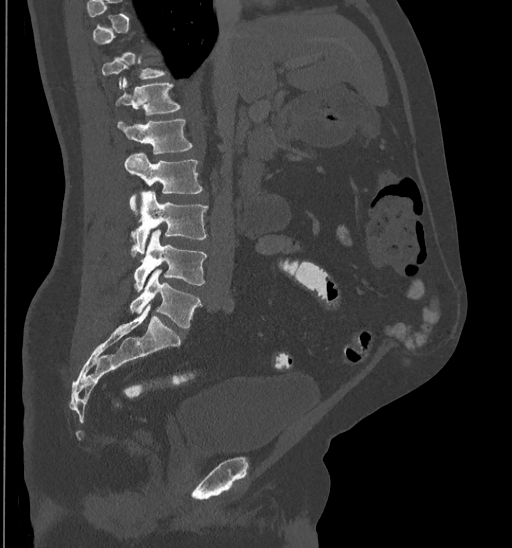

Computed tomography of the spine — sagittal view — 512x548 px
Box values are [left, top, right, bottom] in pixels.
Not every vertebra on this slice has a box: a vertebra is boxed only from the first to the last slice where its cross-section is at least a third of its largest, and this slice is outside that range for at least one of them.
{"vertebrae":{"T11":[101,52,166,88],"T12":[114,76,180,114],"L1":[117,119,192,154],"L2":[125,153,203,216],"L3":[130,191,208,255],"L4":[134,230,207,291],"L5":[130,270,201,327]}}